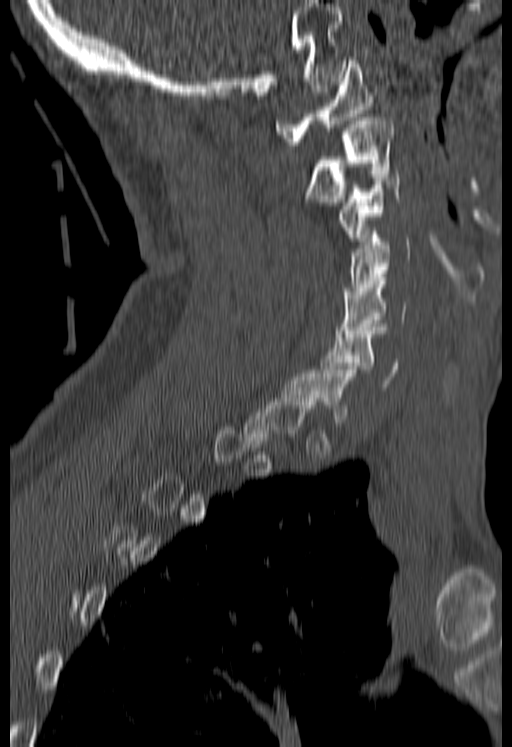

CT spine; sagittal view; 180 mm wide
Box edges are left/top/right/bottom in pixels. A vertebra is boxed only from the first to the last slice where its cross-section is at least a third of its largest; slices outside that range leave it without a box. The labeled vertebrae in this slice are: C6 at left=320, top=327, right=398, bottom=387, C5 at left=337, top=277, right=405, bottom=333, C4 at left=342, top=231, right=410, bottom=294, C3 at left=337, top=174, right=398, bottom=251, C2 at left=305, top=114, right=392, bottom=205, C1 at left=276, top=57, right=373, bottom=145.